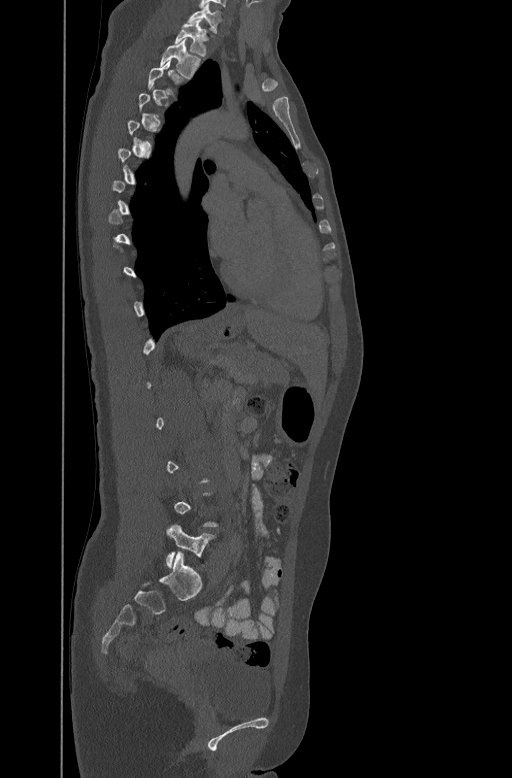
Computed tomography of the spine. sagittal view. Bone window (WL 400, WW 1800)
Boxes: x1:y1:x2:y2 in pixels. A vertebra gets a box only on the slices from the first to the last where its cross-section is at least a third of its largest; on a slice outside that range it gets none. The labeled vertebrae in this slice are: L5 at 166:525:214:567, T2 at 159:38:199:76, T1 at 175:23:208:55, C7 at 188:5:221:25.